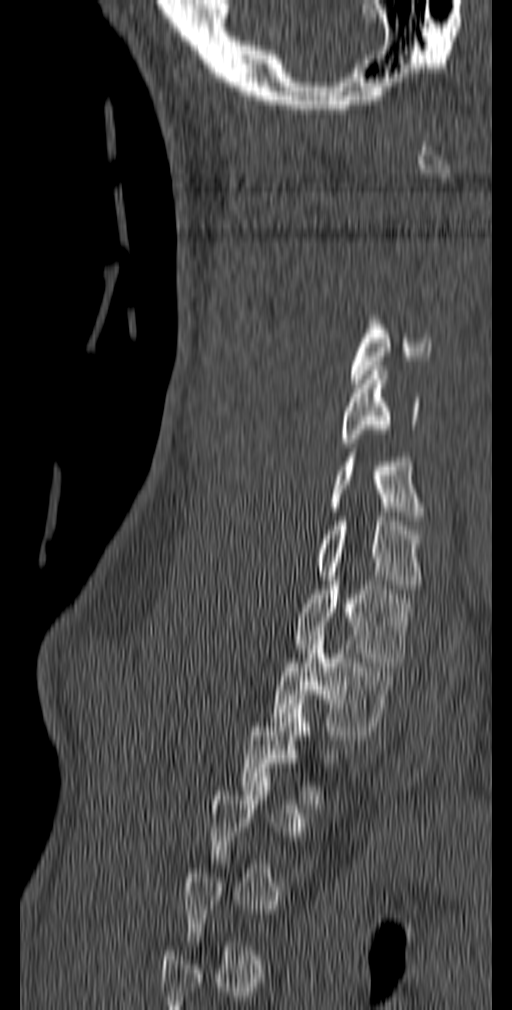
CT, spine. sagittal view. W/L 1800/400 HU. 512x1010 px. image width 140 mm

Each box is [x1, y1, x2, y2] in pixels: top-left corner, then bottom-right corner.
A vertebra is boxed only from the first to the last slice where its cross-section is at least a third of its largest; slices outside that range leave it without a box.
{"vertebrae":{"C4":[351,311,432,383],"C5":[340,366,420,447],"C6":[327,453,425,525],"C7":[316,521,423,589],"T1":[294,576,412,666],"T2":[270,631,398,740]}}